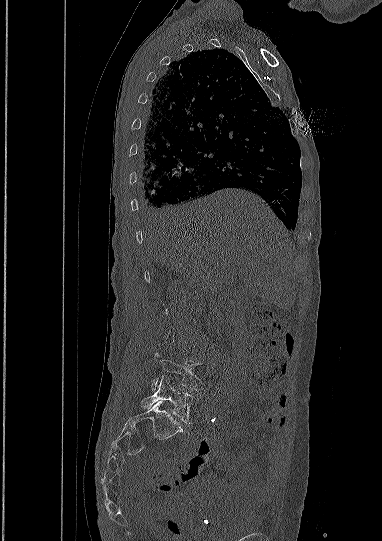
Spine computed tomography · sagittal view

Boxes: x1 y1 x2 y2 (pixel coords, space-separated).
A vertebra is boxed only from the first to the last slice where its cross-section is at least a third of its largest; slices outside that range leave it without a box.
L5: 141 376 192 423
L4: 152 353 202 390